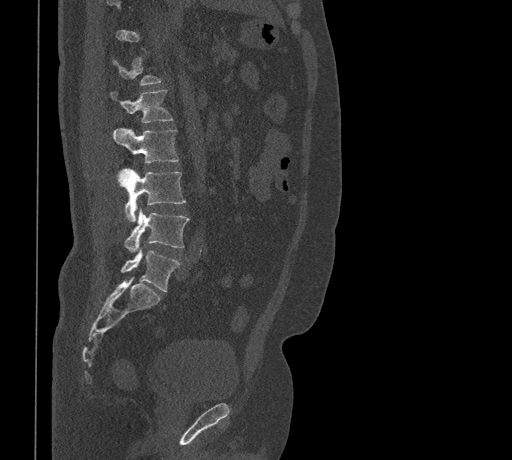
CT, spine · 461 mm image width · sagittal view
Boxes below are [x1, y1, x2, y2] in pixels.
Each vertebra is boxed only on the slices from the first to the last where its cross-section reaches a third of its largest, so a slice outside that range leaves it unboxed.
{"vertebrae":{"L1":[110,90,173,122],"L2":[112,128,179,162],"L3":[119,169,185,221],"L4":[123,208,189,251],"L5":[121,250,180,291]}}